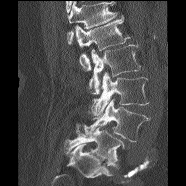

Spine computed tomography — sagittal view — 186 mm image width — 186x186 px
A vertebra cut off by the top edge of the scan is not labeled and has no box.
<vertebrae><v name="L5" x1="64" y1="124" x2="124" y2="167"/><v name="L4" x1="84" y1="98" x2="149" y2="141"/><v name="L3" x1="91" y1="71" x2="149" y2="115"/><v name="L2" x1="89" y1="44" x2="140" y2="94"/><v name="L1" x1="75" y1="15" x2="130" y2="70"/></vertebrae>